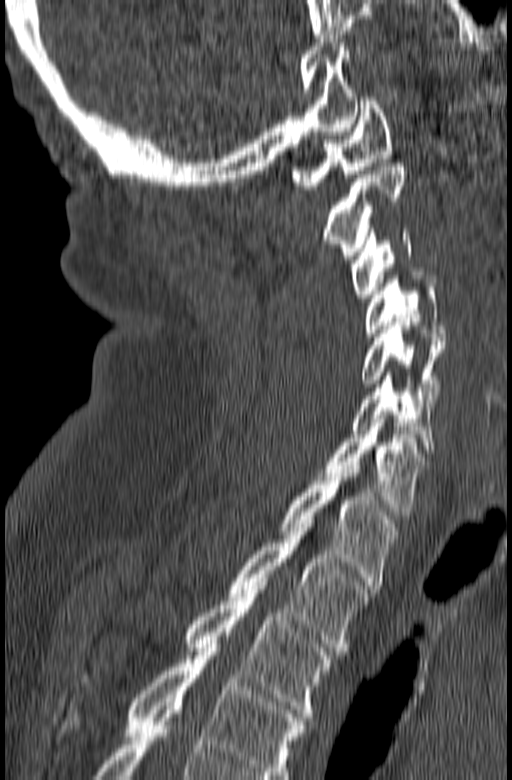

Spine CT. sagittal view. W/L 1800/400 HU

In this scan, the topmost labeled vertebra is C1 and the lowest is T3.
<vertebrae><v name="C1" x1="291" y1="97" x2="391" y2="189"/><v name="C2" x1="324" y1="163" x2="407" y2="259"/><v name="C3" x1="352" y1="229" x2="411" y2="298"/><v name="C4" x1="364" y1="272" x2="446" y2="336"/><v name="C5" x1="361" y1="318" x2="444" y2="399"/><v name="C6" x1="351" y1="372" x2="435" y2="453"/><v name="C7" x1="314" y1="419" x2="428" y2="515"/><v name="T1" x1="280" y1="465" x2="398" y2="585"/><v name="T2" x1="228" y1="520" x2="372" y2="651"/><v name="T3" x1="82" y1="586" x2="332" y2="720"/></vertebrae>